CT; image width 500 mm; sagittal reformat; Bone window (WL 400, WW 1800); 512x705 px
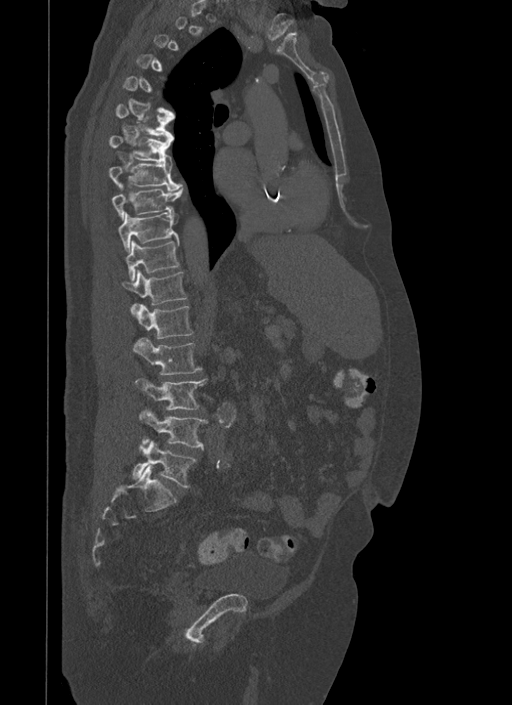 Box edges are left/top/right/bottom in pixels.
A vertebra is boxed only from the first to the last slice where its cross-section is at least a third of its largest; slices outside that range leave it without a box.
Vertebra bounding boxes:
- L5: left=133, top=440, right=196, bottom=486
- L4: left=140, top=411, right=207, bottom=449
- L3: left=136, top=378, right=207, bottom=410
- L2: left=133, top=338, right=202, bottom=374
- L1: left=134, top=304, right=193, bottom=338
- T12: left=121, top=269, right=187, bottom=312
- T11: left=125, top=240, right=180, bottom=281
- T10: left=117, top=210, right=178, bottom=252
- T9: left=111, top=185, right=183, bottom=220
- T8: left=109, top=163, right=180, bottom=190
- T7: left=108, top=135, right=171, bottom=163
- T6: left=115, top=103, right=173, bottom=138